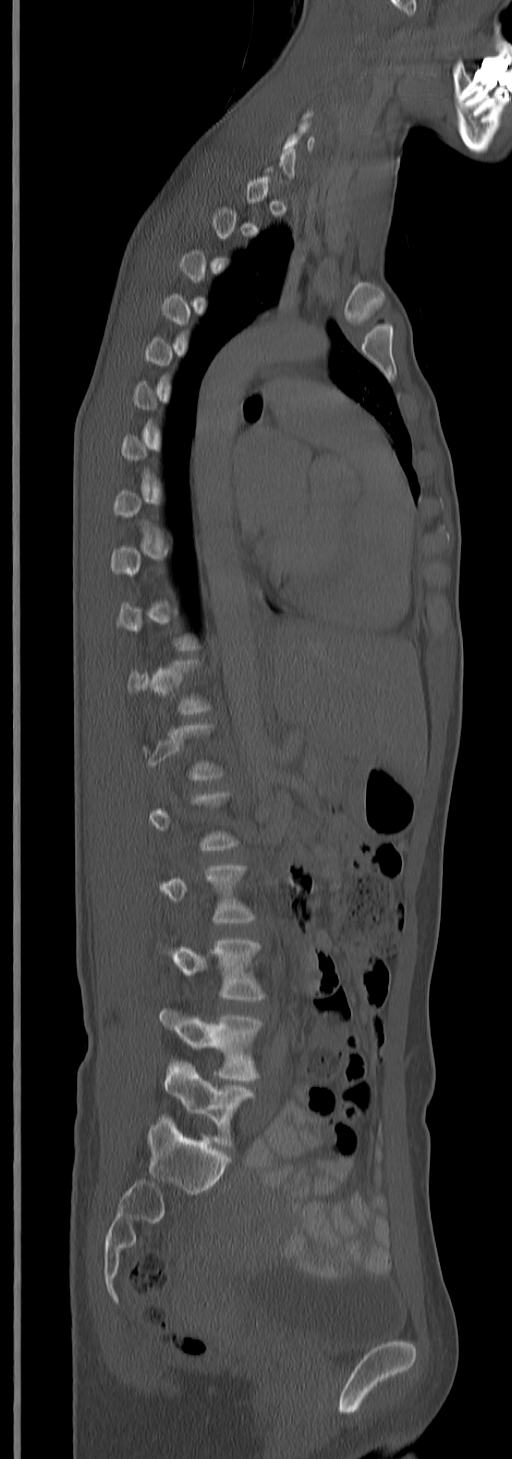 CT. sagittal view. the image spans 245 mm across. bone window

A vertebra is boxed only from the first to the last slice where its cross-section is at least a third of its largest; slices outside that range leave it without a box.
<vertebrae><v name="L5" x1="164" y1="1060" x2="255" y2="1147"/><v name="L4" x1="159" y1="1008" x2="263" y2="1080"/><v name="L3" x1="168" y1="939" x2="265" y2="1001"/><v name="L2" x1="159" y1="864" x2="255" y2="923"/></vertebrae>